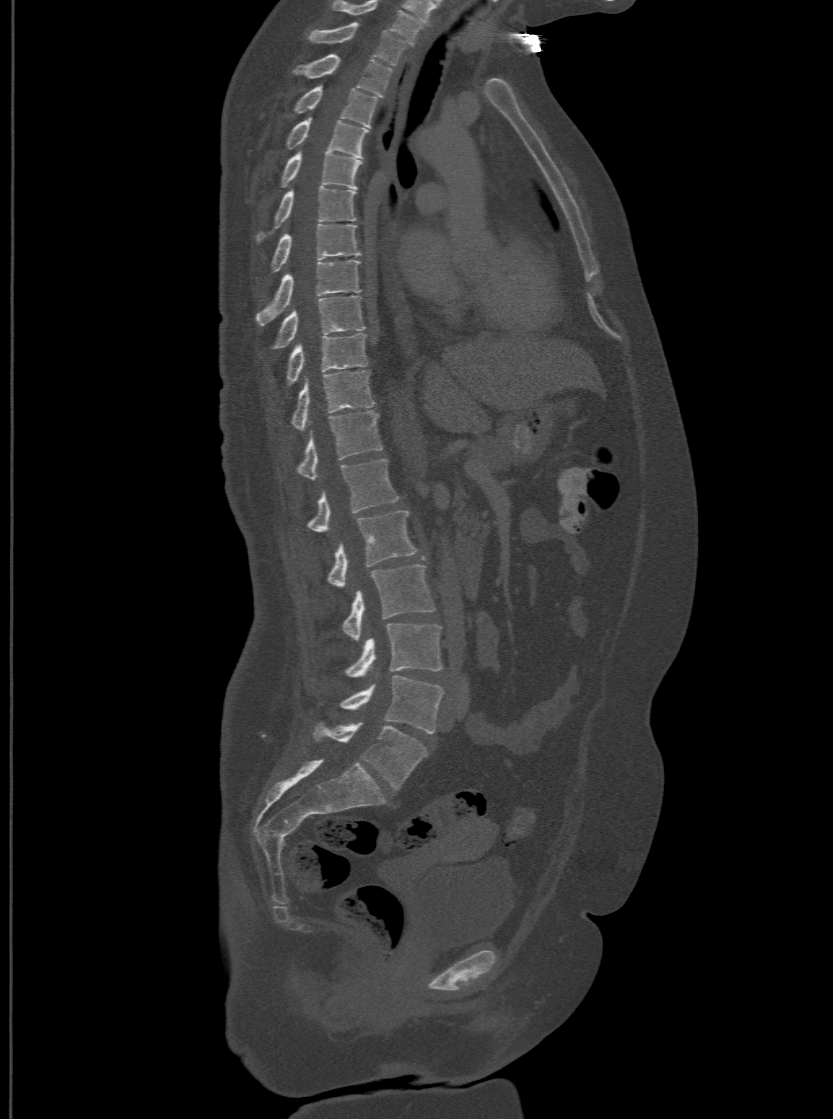

Computed tomography of the spine. sagittal view. 833x1119 px. 500 mm across the image

In the table, x1 and y1 are a box's top-left corner and x2 and y2 its bottom-right corner, in pixels.
In this scan, the topmost labeled vertebra is T1 and the lowest is L6.
The labels name a sixth lumbar vertebra for this spine: L6, after L5.
| vertebra | x1 | y1 | x2 | y2 |
|---|---|---|---|---|
| T1 | 308 | 22 | 404 | 64 |
| T2 | 291 | 53 | 391 | 96 |
| T3 | 291 | 85 | 377 | 126 |
| T4 | 285 | 117 | 367 | 157 |
| T5 | 280 | 150 | 362 | 187 |
| T6 | 256 | 185 | 355 | 242 |
| T7 | 270 | 223 | 360 | 272 |
| T8 | 257 | 258 | 360 | 324 |
| T9 | 270 | 295 | 364 | 349 |
| T10 | 285 | 332 | 367 | 384 |
| T11 | 290 | 370 | 373 | 429 |
| T12 | 295 | 410 | 383 | 479 |
| L1 | 306 | 458 | 398 | 531 |
| L2 | 327 | 510 | 417 | 587 |
| L3 | 342 | 564 | 434 | 640 |
| L4 | 345 | 623 | 442 | 677 |
| L5 | 339 | 676 | 443 | 733 |
| L6 | 312 | 723 | 427 | 788 |